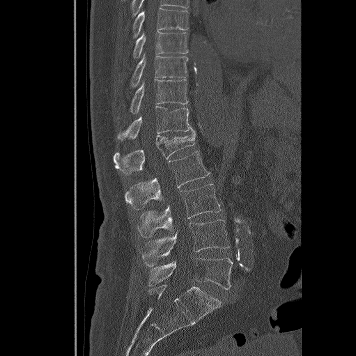
Spine computed tomography; sagittal view. Bounding boxes as [x1, y1, x2, y2] in pixel coordinates.
Vertebra bounding boxes:
- L5: [148, 258, 232, 289]
- L4: [142, 219, 230, 266]
- L3: [137, 184, 220, 237]
- L2: [124, 151, 209, 210]
- L1: [113, 131, 195, 172]
- T12: [117, 106, 194, 140]
- T11: [130, 79, 187, 113]
- T10: [130, 54, 188, 86]
- T9: [133, 32, 188, 58]
- T8: [133, 7, 189, 38]